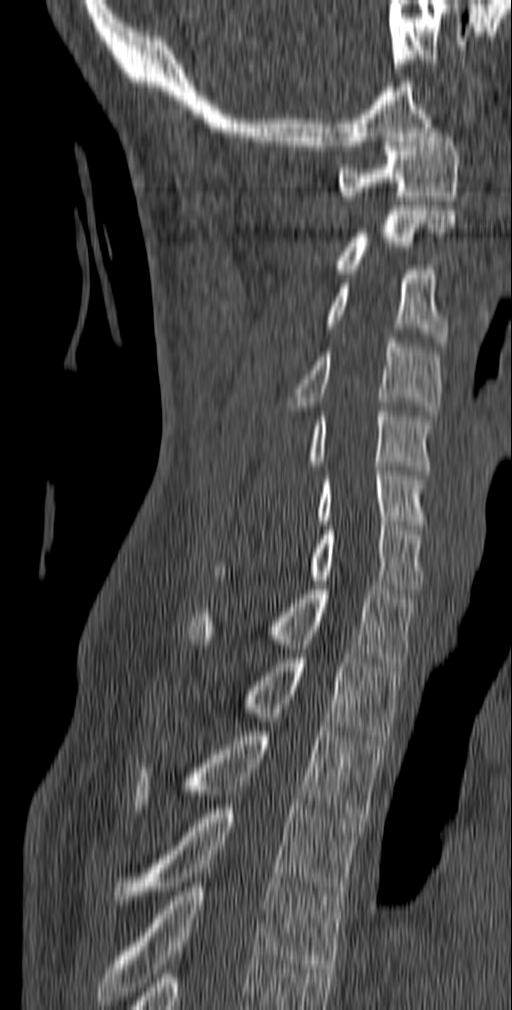

Spine CT · sagittal view · 512x1010 px. Each box given as x1,y1,x2,y2.
C1: x1=338, y1=128, x2=460, y2=200
C2: x1=334, y1=206, x2=456, y2=273
C3: x1=323, y1=270, x2=448, y2=346
C4: x1=287, y1=338, x2=443, y2=415
C5: x1=309, y1=407, x2=432, y2=474
C6: x1=316, y1=466, x2=428, y2=525
C7: x1=214, y1=521, x2=424, y2=593
T1: x1=188, y1=585, x2=417, y2=666
T2: x1=238, y1=658, x2=404, y2=740
T3: x1=133, y1=727, x2=384, y2=822
T4: x1=111, y1=805, x2=362, y2=904
T5: x1=98, y1=878, x2=344, y2=1005